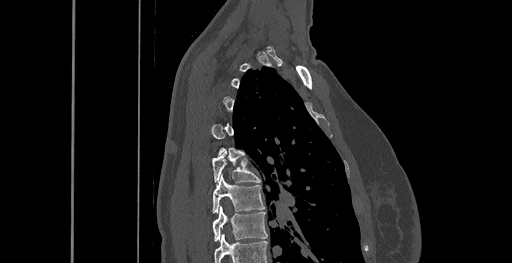

Spine computed tomography · sagittal reformat · 512x263 px. Boxes are given in columns x1, y1, x2, y2, the pixel coordinates of their top-left and bottom-right corners.
A vertebra is boxed only from the first to the last slice where its cross-section is at least a third of its largest; slices outside that range leave it without a box.
In this scan, the topmost labeled vertebra is C6 and the lowest is T8.
| vertebra | x1 | y1 | x2 | y2 |
|---|---|---|---|---|
| T8 | 213 | 206 | 268 | 241 |
| T7 | 212 | 175 | 264 | 212 |
| T6 | 212 | 152 | 260 | 182 |